CT, spine · Sagittal slice 251/512
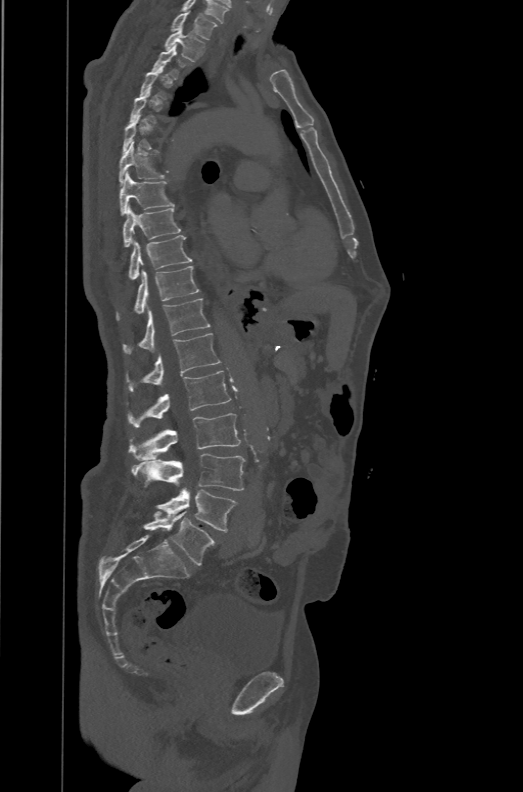
Coordinates as <box>x1,y1,x2,y2</box>. A vertebra is boxed only from the first to the last slice where its cross-section is at least a third of its largest; slices outside that range leave it without a box. These labels give the spine a sixth lumbar vertebra, L6, below L5. Vertebrae labeled: L6 at <box>143,511,214,565</box>, L5 at <box>155,489,238,531</box>, L4 at <box>131,453,244,490</box>, L3 at <box>129,413,240,461</box>, L2 at <box>128,371,231,428</box>, L1 at <box>127,333,220,391</box>, T12 at <box>124,298,210,353</box>, T11 at <box>116,266,199,320</box>, T10 at <box>128,235,191,280</box>, T9 at <box>123,205,181,247</box>, T8 at <box>119,172,175,215</box>, T7 at <box>119,142,165,184</box>, T2 at <box>165,28,205,61</box>, T1 at <box>170,10,217,40</box>.